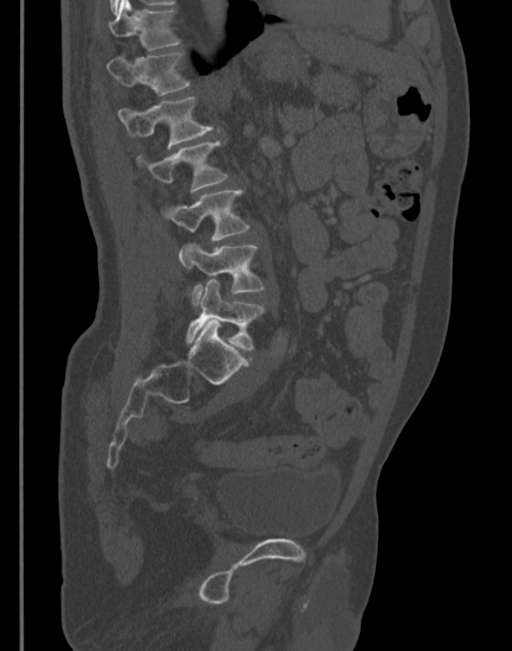 Computed tomography of the spine; sagittal view
Box values are [left, top, right, bottom] in pixels.
{"vertebrae":{"L5":[187,278,264,350],"L4":[179,242,264,305],"L3":[160,189,250,240],"L2":[136,140,227,191],"L1":[118,96,220,149],"T12":[107,51,190,95],"T11":[110,0,181,50]}}